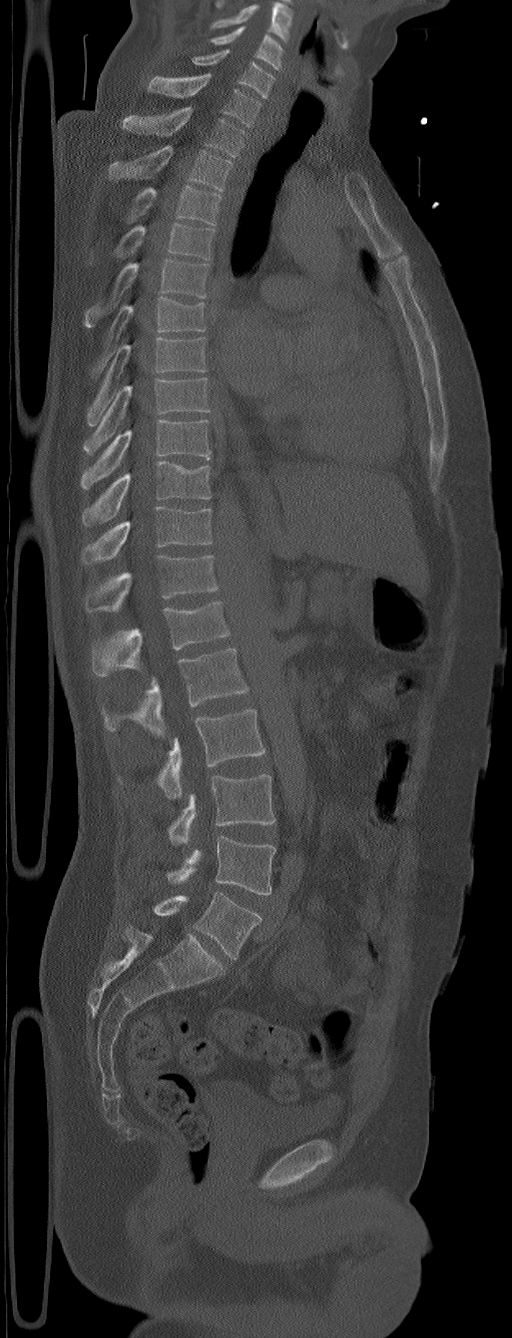 Spine CT · sagittal view · bone-window reconstruction

Box values are [left, top, right, bottom] in pixels.
This scan's labels start at C5 at the top and end at L6 at the bottom.
These labels give the spine a sixth lumbar vertebra, L6, below L5.
{"vertebrae":{"C5":[210,26,283,70],"C6":[192,49,275,98],"C7":[148,73,261,127],"T1":[123,108,246,157],"T2":[109,146,233,191],"T3":[125,185,221,224],"T4":[111,222,214,260],"T5":[84,259,209,327],"T6":[89,297,206,381],"T7":[86,338,206,426],"T8":[83,378,211,454],"T9":[81,420,211,490],"T10":[83,460,211,525],"T11":[81,506,213,563],"T12":[84,554,219,612],"L1":[91,601,229,676],"L2":[101,648,248,738],"L3":[118,709,266,798],"L4":[168,774,275,844],"L5":[167,836,275,894],"L6":[153,892,261,960]}}